CT, spine · sagittal view · bone-window reconstruction
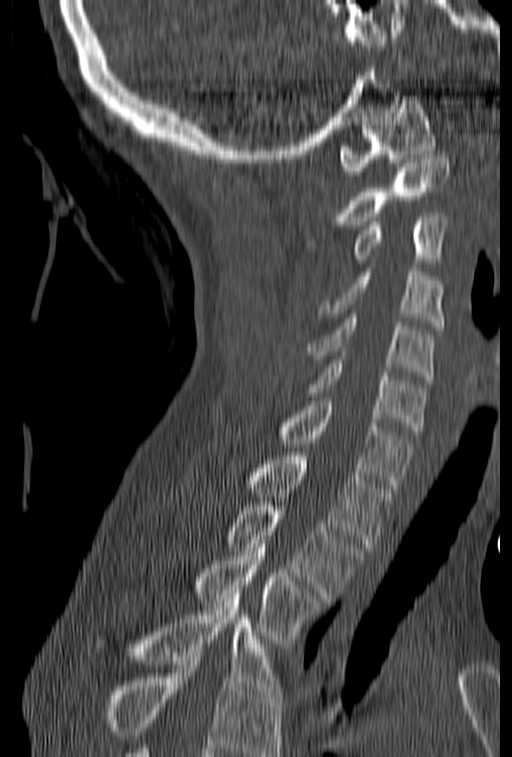

Each box given as x1,y1,x2,y2.
A vertebra cut off by the bottom edge of the scan is not labeled and has no box.
Vertebra bounding boxes:
- C1: x1=339, y1=96, x2=436, y2=179
- C2: x1=304, y1=155, x2=449, y2=246
- C3: x1=353, y1=213, x2=449, y2=267
- C4: x1=317, y1=268, x2=442, y2=329
- C5: x1=306, y1=314, x2=433, y2=380
- C6: x1=287, y1=360, x2=425, y2=434
- C7: x1=279, y1=397, x2=415, y2=488
- T1: x1=246, y1=452, x2=395, y2=547
- T2: x1=225, y1=502, x2=365, y2=597
- T3: x1=195, y1=540, x2=325, y2=643
- T4: x1=95, y1=590, x2=283, y2=698